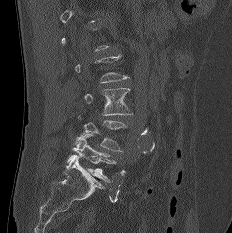

Computed tomography of the spine. sagittal reformat. 232 mm wide. Bone window (WL 400, WW 1800). 232x233 px
In the table, x1 and y1 are a box's top-left corner and x2 and y2 its bottom-right corner, in pixels.
Not every vertebra on this slice has a box: a vertebra is boxed only from the first to the last slice where its cross-section is at least a third of its largest, and this slice is outside that range for at least one of them.
| vertebra | x1 | y1 | x2 | y2 |
|---|---|---|---|---|
| L3 | 84 | 88 | 132 | 115 |
| L4 | 78 | 115 | 127 | 151 |
| L5 | 67 | 134 | 115 | 181 |